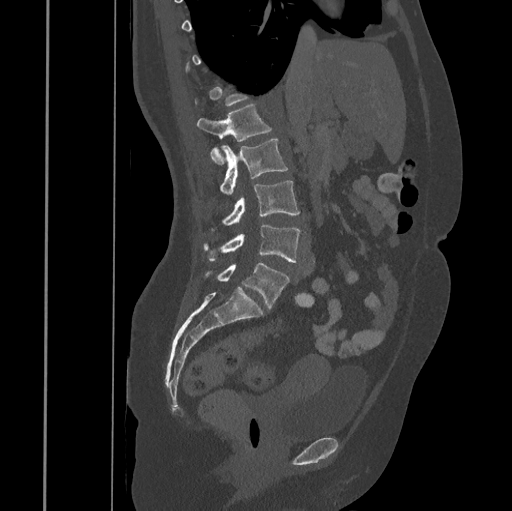 Computed tomography of the spine — sagittal reformat — bone-window reconstruction
Not every vertebra on this slice has a box: a vertebra is boxed only from the first to the last slice where its cross-section is at least a third of its largest, and this slice is outside that range for at least one of them.
<vertebrae><v name="L1" x1="197" y1="105" x2="272" y2="165"/><v name="L2" x1="220" y1="139" x2="288" y2="194"/><v name="L3" x1="212" y1="180" x2="299" y2="230"/><v name="L4" x1="204" y1="224" x2="300" y2="262"/><v name="L5" x1="205" y1="263" x2="289" y2="309"/></vertebrae>